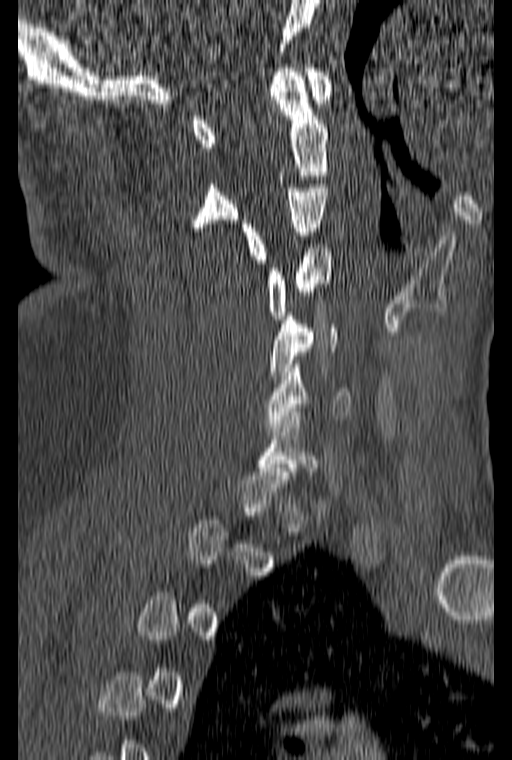 Computed tomography of the spine; sagittal reformat; image width 160 mm
Boxes: x1 y1 x2 y2 (pixel coords, space-separated).
Not every vertebra on this slice has a box: a vertebra is boxed only from the first to the last slice where its cross-section is at least a third of its largest, and this slice is outside that range for at least one of them.
Vertebra bounding boxes:
- C1: 192 64 332 147
- C2: 190 68 327 231
- C3: 241 184 327 263
- C4: 267 244 333 319
- C5: 270 312 336 379
- C6: 264 360 351 427